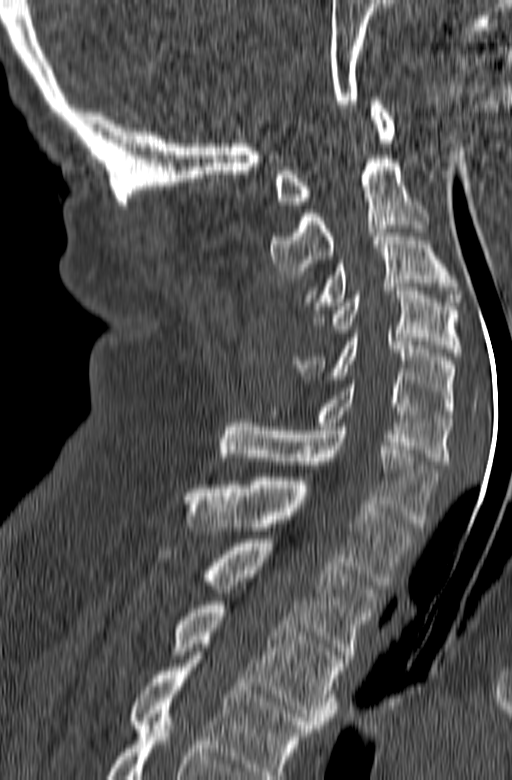
Spine CT. sagittal view. 165 mm image width. Bone window (WL 400, WW 1800). 512x780 px

Each box given as x1,y1,x2,y2.
Labels in this scan begin with C1 at the top and end with T3 at the bottom.
Vertebra bounding boxes:
- C1: x1=274, y1=97, x2=394, y2=205
- C2: x1=270, y1=159, x2=428, y2=278
- C3: x1=308, y1=229, x2=460, y2=309
- C4: x1=314, y1=287, x2=462, y2=356
- C5: x1=292, y1=334, x2=458, y2=418
- C6: x1=265, y1=380, x2=451, y2=464
- C7: x1=218, y1=419, x2=438, y2=527
- T1: x1=184, y1=477, x2=416, y2=585
- T2: x1=159, y1=539, x2=379, y2=658
- T3: x1=170, y1=601, x2=344, y2=728